CT · image 218 mm wide · Sagittal slice 34/86 · 18 vertebrae labeled in this scan
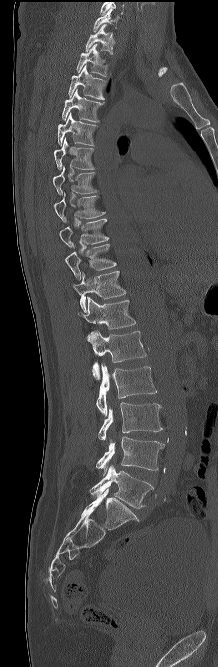
In the table, x1 and y1 are a box's top-left corner and x2 and y2 its bottom-right corner, in pixels.
This scan's labels start at C7 at the top and end at L5 at the bottom.
| vertebra | x1 | y1 | x2 | y2 |
|---|---|---|---|---|
| L5 | 90 | 465 | 153 | 508 |
| L4 | 96 | 436 | 164 | 475 |
| L3 | 98 | 402 | 162 | 439 |
| L2 | 96 | 364 | 156 | 416 |
| L1 | 88 | 330 | 146 | 379 |
| T12 | 77 | 297 | 135 | 340 |
| T11 | 73 | 271 | 126 | 313 |
| T10 | 65 | 244 | 116 | 280 |
| T9 | 59 | 218 | 108 | 248 |
| T8 | 54 | 193 | 105 | 222 |
| T7 | 52 | 166 | 98 | 194 |
| T6 | 54 | 137 | 94 | 170 |
| T5 | 58 | 112 | 98 | 146 |
| T4 | 62 | 89 | 104 | 122 |
| T3 | 68 | 64 | 106 | 99 |
| T2 | 76 | 44 | 107 | 76 |
| T1 | 85 | 24 | 114 | 54 |
| C7 | 93 | 10 | 118 | 31 |